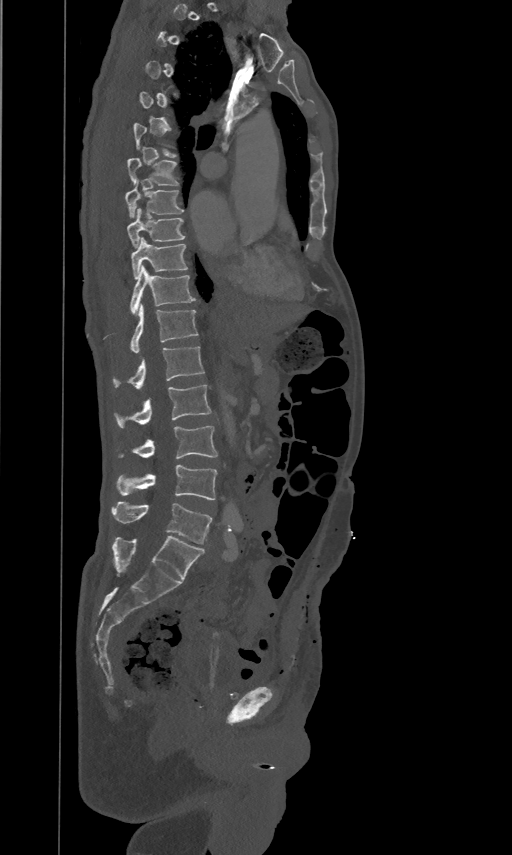
CT, spine. 461 mm image width. sagittal view. W/L 1800/400 HU. Boxes are given in columns x1, y1, x2, y2, the pixel coordinates of their top-left and bottom-right corners.
A vertebra is boxed only from the first to the last slice where its cross-section is at least a third of its largest; slices outside that range leave it without a box.
| vertebra | x1 | y1 | x2 | y2 |
|---|---|---|---|---|
| T7 | 127 | 157 | 178 | 184 |
| T8 | 124 | 179 | 183 | 216 |
| T9 | 127 | 207 | 185 | 246 |
| T10 | 131 | 236 | 187 | 278 |
| T11 | 130 | 264 | 194 | 314 |
| T12 | 131 | 303 | 198 | 351 |
| L1 | 113 | 345 | 204 | 388 |
| L2 | 116 | 384 | 211 | 427 |
| L3 | 121 | 425 | 217 | 459 |
| L4 | 117 | 465 | 216 | 500 |
| L5 | 111 | 502 | 212 | 544 |